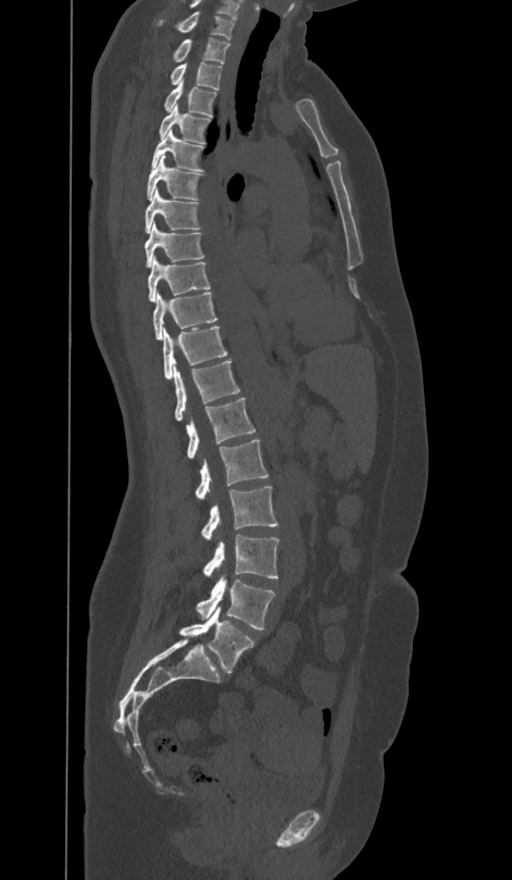
Computed tomography of the spine — sagittal view — 512x880 px. Boxes: x1 y1 x2 y2 (pixel coords, space-separated). The labels name a sixth lumbar vertebra for this spine: L6, after L5. The labeled vertebrae in this slice are: L6 at 179 606 253 672, L5 at 197 574 274 630, L4 at 204 535 278 578, L3 at 202 485 277 541, L2 at 196 439 267 499, L1 at 186 398 255 459, T12 at 174 361 240 420, T11 at 163 327 227 380, T10 at 153 292 216 339, T9 at 148 258 210 301, T8 at 145 223 203 266, T7 at 145 189 199 233, T6 at 147 155 200 200, T5 at 151 129 204 171, T4 at 160 105 210 143, T3 at 164 80 215 116, T2 at 171 62 221 89, T1 at 174 38 229 63, C7 at 160 12 233 40.